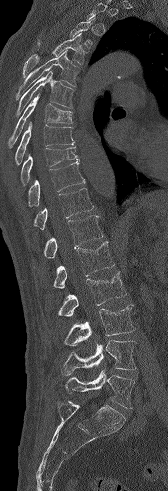 Spine CT — sagittal view — W/L 1800/400 HU
Columns x1, y1, x2, y2 give each box's top-left and bottom-right pixels.
A vertebra is boxed only from the first to the last slice where its cross-section is at least a third of its largest; slices outside that range leave it without a box.
| vertebra | x1 | y1 | x2 | y2 |
|---|---|---|---|---|
| T4 | 23 | 33 | 87 | 77 |
| T5 | 16 | 50 | 79 | 100 |
| T6 | 15 | 71 | 74 | 117 |
| T7 | 8 | 94 | 72 | 147 |
| T8 | 15 | 122 | 74 | 164 |
| T9 | 20 | 147 | 79 | 185 |
| T10 | 28 | 162 | 85 | 206 |
| T11 | 33 | 188 | 93 | 229 |
| T12 | 43 | 215 | 103 | 258 |
| L1 | 53 | 241 | 114 | 288 |
| L2 | 57 | 271 | 126 | 316 |
| L3 | 64 | 304 | 135 | 345 |
| L4 | 60 | 340 | 136 | 375 |
| L5 | 64 | 370 | 134 | 408 |